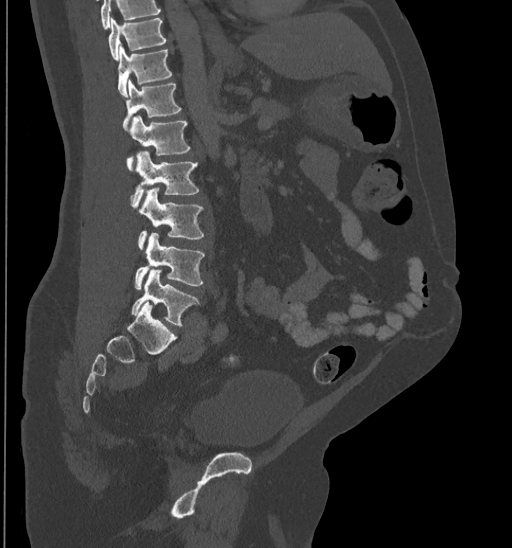

CT; sagittal view; bone-window reconstruction; 512x548 px. Boxes are (x1, y1, x2, y2) in pixels.
Where the top of the scan cuts through a vertebra, that vertebra gets no label or box.
T10: (108, 17, 166, 59)
T11: (117, 44, 172, 96)
T12: (122, 79, 181, 130)
L1: (127, 115, 190, 168)
L2: (131, 150, 199, 208)
L3: (138, 187, 204, 249)
L4: (134, 232, 205, 289)
L5: (132, 269, 199, 325)